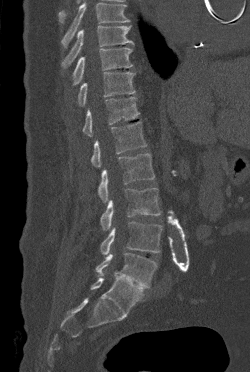
Spine CT. sagittal view

Boxes: x1 y1 x2 y2 (pixel coords, space-separated). Where the top of the scan cuts through a vertebra, that vertebra gets no label or box. Vertebrae labeled: T9 at 61 26 133 67, T10 at 72 47 132 85, T11 at 78 72 135 106, T12 at 82 97 139 136, L1 at 91 121 146 167, L2 at 98 153 154 202, L3 at 100 188 160 230, L4 at 100 221 162 254, L5 at 96 253 157 288.